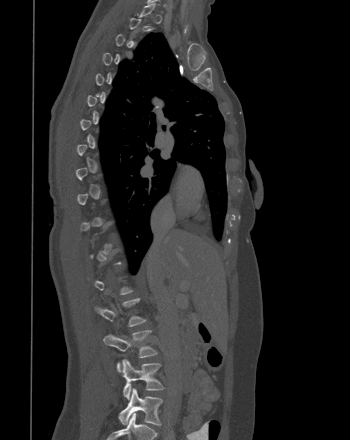
CT spine · sagittal view · W/L 1800/400 HU

Box edges are left/top/right/bottom in pixels. Each vertebra is boxed only on the slices from the first to the last where its cross-section reaches a third of its largest, so a slice outside that range leaves it unboxed. 3 vertebrae labeled — L5 at left=118, top=388, right=162, bottom=425; L4 at left=122, top=359, right=165, bottom=399; L3 at left=103, top=330, right=157, bottom=371.